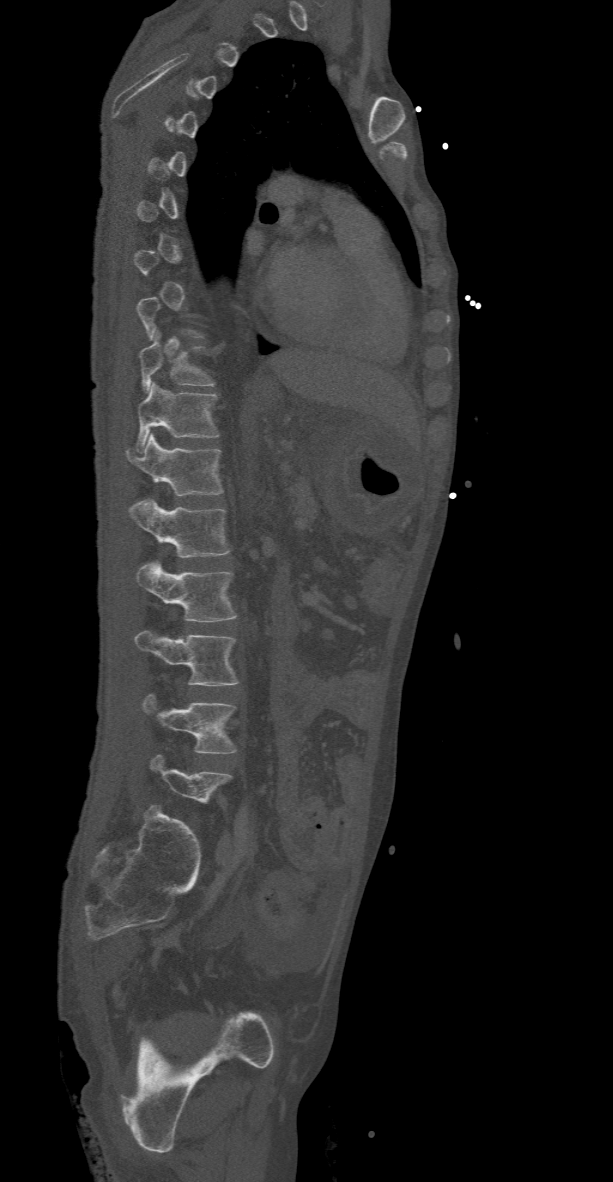
CT, spine; sagittal view

Each vertebra is boxed only on the slices from the first to the last where its cross-section reaches a third of its largest, so a slice outside that range leaves it unboxed.
<vertebrae><v name="L5" x1="150" y1="754" x2="230" y2="801"/><v name="L4" x1="141" y1="694" x2="237" y2="753"/><v name="L3" x1="134" y1="631" x2="239" y2="685"/><v name="L2" x1="134" y1="561" x2="237" y2="621"/><v name="L1" x1="128" y1="499" x2="230" y2="556"/><v name="T12" x1="127" y1="434" x2="222" y2="495"/><v name="T11" x1="137" y1="382" x2="218" y2="453"/><v name="T10" x1="138" y1="331" x2="216" y2="391"/></vertebrae>